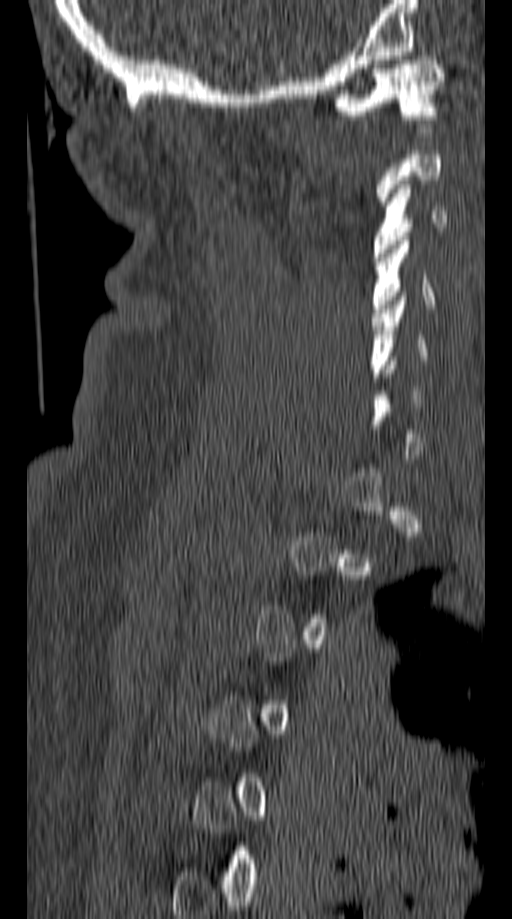

CT spine. sagittal view

Not every vertebra on this slice has a box: a vertebra is boxed only from the first to the last slice where its cross-section is at least a third of its largest, and this slice is outside that range for at least one of them.
<vertebrae><v name="C1" x1="331" y1="56" x2="443" y2="119"/><v name="C3" x1="372" y1="180" x2="447" y2="257"/><v name="C4" x1="372" y1="236" x2="433" y2="317"/><v name="C5" x1="369" y1="292" x2="426" y2="381"/></vertebrae>